CT spine · sagittal plane, index 66 · 228x376 px
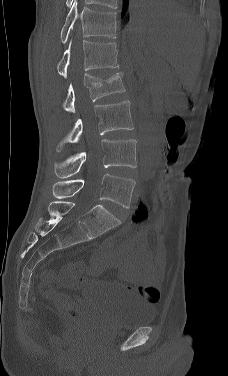 Boxes are (x1, y1, x2, y2) in pixels.
In this scan, the topmost labeled vertebra is L1 and the lowest is L5.
Vertebra bounding boxes:
- L1: (57, 38, 119, 78)
- L2: (62, 71, 125, 114)
- L3: (56, 100, 133, 151)
- L4: (54, 139, 136, 178)
- L5: (52, 173, 135, 208)